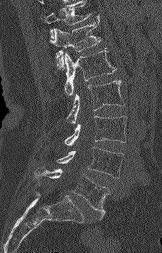
CT spine · sagittal view · 162x253 px

Each box given as x1,y1,x2,y2.
Where the top of the scan cuts through a vertebra, that vertebra gets no label or box.
Vertebra bounding boxes:
- T12: x1=50, y1=15, x2=101, y2=69
- L1: x1=64, y1=50, x2=116, y2=95
- L2: x1=67, y1=80, x2=124, y2=124
- L3: x1=64, y1=116, x2=126, y2=146
- L4: x1=57, y1=147, x2=123, y2=178
- L5: x1=34, y1=167, x2=109, y2=219